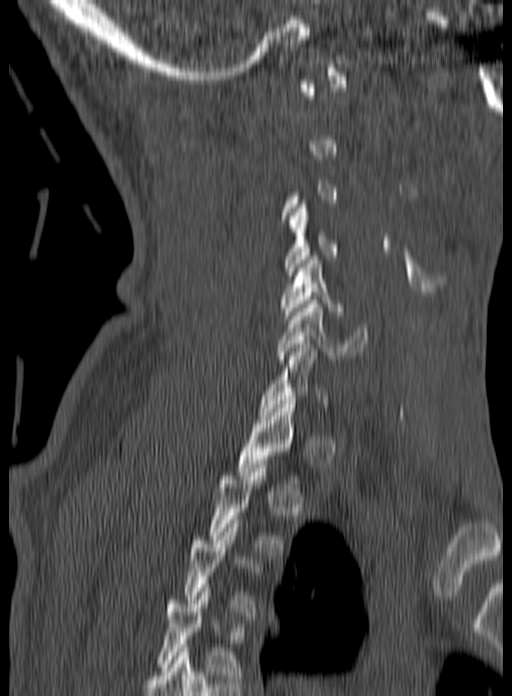

Spine CT · sagittal view · image width 160 mm

Each box given as x1,y1,x2,y2.
A vertebra gets a box only on the slices from the first to the last where its cross-section is at least a third of its largest; on a slice outside that range it gets none.
C6: x1=276, y1=300, x2=367, y2=363
C5: x1=281, y1=256, x2=341, y2=315
C4: x1=285, y1=204, x2=337, y2=279